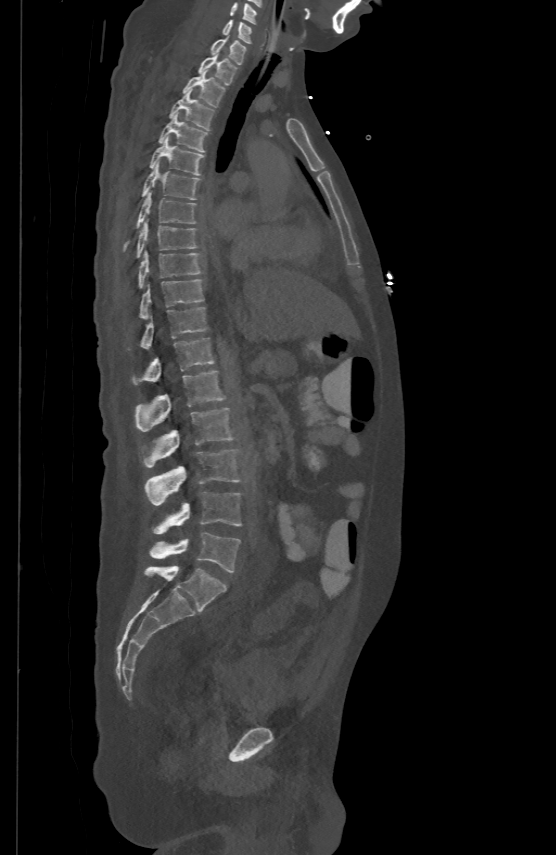

CT, spine; sagittal view; 500 mm image width; 556x855 px. Coordinates as <box>x1,y1,x2,y2</box>.
Vertebra bounding boxes:
- C5: <box>230,2,256,22</box>
- C6: <box>222,19,251,42</box>
- C7: <box>212,35,245,63</box>
- T1: <box>197,52,236,83</box>
- T2: <box>183,70,225,105</box>
- T3: <box>169,90,214,129</box>
- T4: <box>158,112,206,151</box>
- T5: <box>150,135,202,174</box>
- T6: <box>142,162,199,199</box>
- T7: <box>137,191,195,226</box>
- T8: <box>137,219,195,255</box>
- T9: <box>139,250,200,285</box>
- T10: <box>140,279,203,318</box>
- T11: <box>141,306,206,348</box>
- T12: <box>132,336,214,383</box>
- L1: <box>136,370,224,431</box>
- L2: <box>144,406,232,467</box>
- L3: <box>144,450,239,505</box>
- L4: <box>151,492,241,533</box>
- L5: <box>149,532,240,572</box>